CT spine · sagittal view · bone-window reconstruction
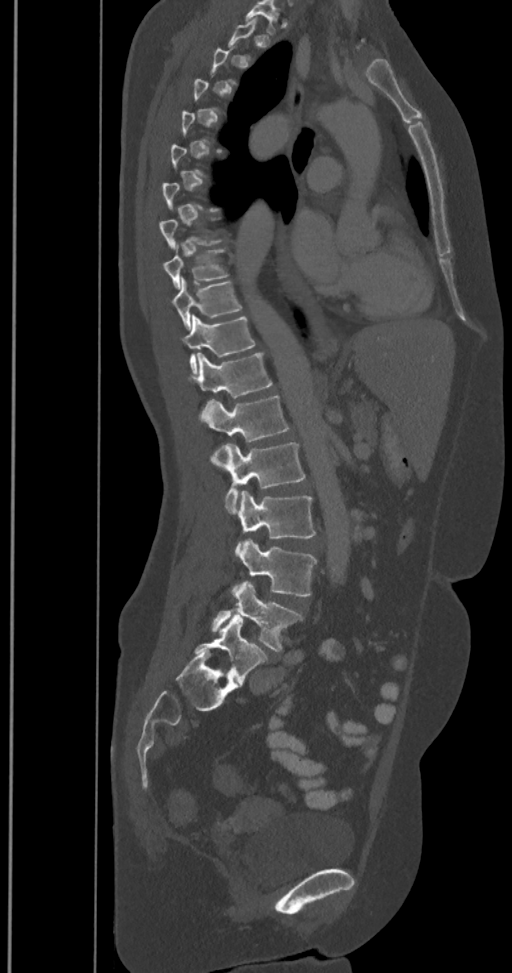
Not every vertebra on this slice has a box: a vertebra is boxed only from the first to the last slice where its cross-section is at least a third of its largest, and this slice is outside that range for at least one of them.
The labels name a sixth lumbar vertebra for this spine: L6, after L5.
<vertebrae><v name="T9" x1="164" y1="249" x2="227" y2="289"/><v name="T10" x1="172" y1="278" x2="242" y2="328"/><v name="T11" x1="181" y1="315" x2="255" y2="373"/><v name="T12" x1="187" y1="353" x2="272" y2="419"/><v name="L1" x1="200" y1="395" x2="288" y2="468"/><v name="L2" x1="224" y1="442" x2="305" y2="512"/><v name="L3" x1="235" y1="490" x2="315" y2="555"/><v name="L4" x1="232" y1="538" x2="316" y2="597"/><v name="L5" x1="212" y1="581" x2="303" y2="652"/><v name="L6" x1="194" y1="614" x2="268" y2="682"/></vertebrae>